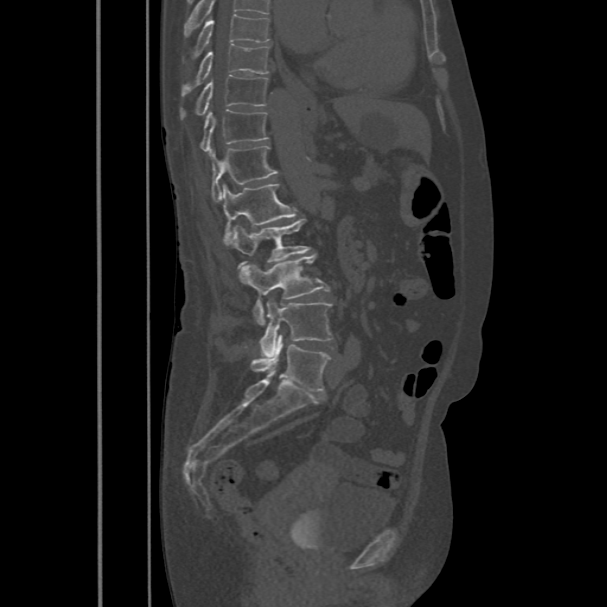

Computed tomography of the spine. sagittal view. Bone window (WL 400, WW 1800). 486 mm image width
The highest labeled vertebra in this scan is T8; the lowest is L5.
<vertebrae><v name="L5" x1="251" y1="335" x2="330" y2="391"/><v name="L4" x1="259" y1="298" x2="332" y2="356"/><v name="L3" x1="238" y1="255" x2="330" y2="324"/><v name="L2" x1="229" y1="218" x2="311" y2="269"/><v name="L1" x1="221" y1="183" x2="298" y2="245"/><v name="T12" x1="210" y1="146" x2="278" y2="201"/><v name="T11" x1="199" y1="110" x2="269" y2="152"/><v name="T10" x1="180" y1="75" x2="268" y2="119"/><v name="T9" x1="181" y1="43" x2="269" y2="96"/><v name="T8" x1="183" y1="13" x2="271" y2="62"/></vertebrae>